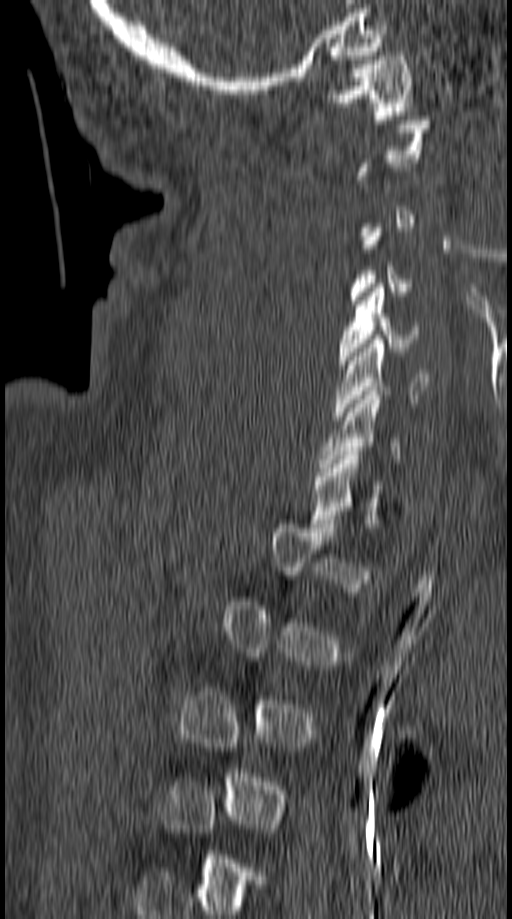 Computed tomography of the spine · sagittal view · image 149 mm wide

Each box given as x1,y1,x2,y2.
A vertebra is boxed only from the first to the last slice where its cross-section is at least a third of its largest; slices outside that range leave it without a box.
C1: x1=325, y1=52, x2=413, y2=119
C5: x1=338, y1=283, x2=420, y2=364
C6: x1=333, y1=339, x2=430, y2=420
C7: x1=319, y1=387, x2=402, y2=471